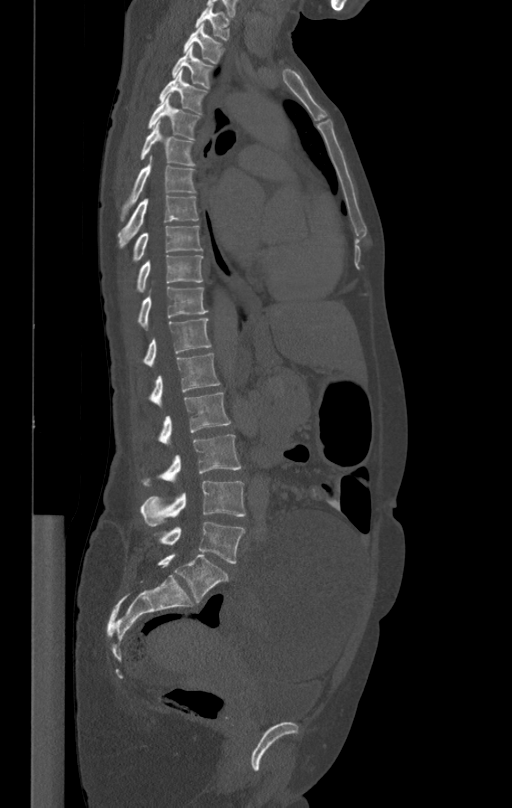
Computed tomography of the spine · the image is 412 mm wide · sagittal view. Box edges are left/top/right/bottom in pixels.
| vertebra | x1 | y1 | x2 | y2 |
|---|---|---|---|---|
| L5 | 156 | 521 | 245 | 563 |
| L4 | 140 | 481 | 245 | 526 |
| L3 | 140 | 435 | 241 | 487 |
| L2 | 156 | 393 | 230 | 442 |
| L1 | 148 | 352 | 220 | 405 |
| T12 | 142 | 318 | 211 | 366 |
| T11 | 137 | 286 | 208 | 328 |
| T10 | 135 | 255 | 203 | 292 |
| T9 | 124 | 226 | 201 | 271 |
| T8 | 118 | 195 | 198 | 248 |
| T7 | 122 | 155 | 195 | 215 |
| T6 | 140 | 122 | 196 | 166 |
| T5 | 148 | 94 | 199 | 139 |
| T4 | 160 | 70 | 205 | 113 |
| T3 | 173 | 47 | 213 | 88 |
| T2 | 184 | 23 | 223 | 62 |
| T1 | 195 | 4 | 229 | 39 |